CT; 180 mm wide; Sagittal slice 304/512
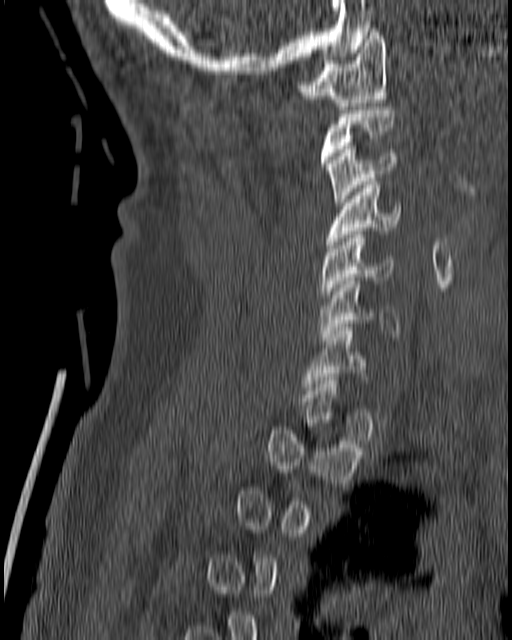

Each box given as x1,y1,x2,y2.
A vertebra is boxed only from the first to the last slice where its cross-section is at least a third of its largest; slices outside that range leave it without a box.
| vertebra | x1 | y1 | x2 | y2 |
|---|---|---|---|---|
| C1 | 297 | 28 | 388 | 109 |
| C3 | 325 | 146 | 398 | 205 |
| C4 | 325 | 178 | 401 | 248 |
| C5 | 319 | 235 | 393 | 301 |
| C6 | 319 | 277 | 400 | 340 |
| C7 | 302 | 327 | 367 | 390 |